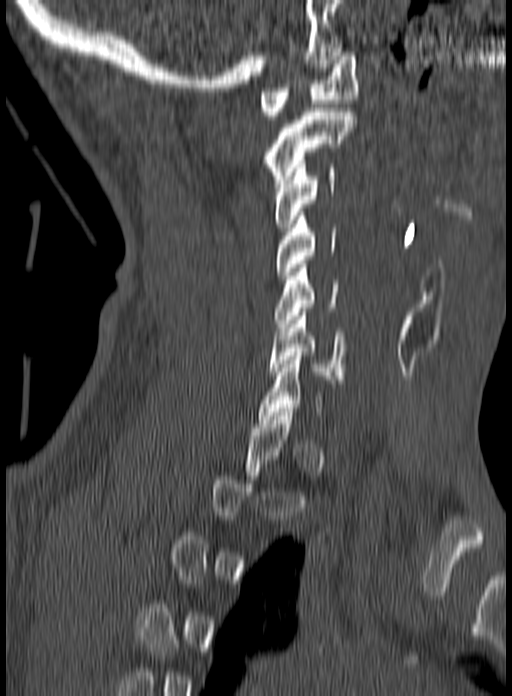 Spine CT. sagittal reformat
Boxes: x1 y1 x2 y2 (pixel coords, space-separated).
A vertebra is boxed only from the first to the last slice where its cross-section is at least a third of its largest; slices outside that range leave it without a box.
C6: 267 308 346 383
C5: 275 260 338 331
C4: 276 212 336 279
C3: 273 160 336 231
C2: 264 108 357 187
C1: 259 48 359 119